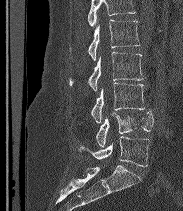
Spine CT — sagittal reformat

Each vertebra maps to its box as [x1, y1, x2, y2], the pixel coordinates of its top-left and bottom-right corners.
A vertebra cut off by the top edge of the scan is not labeled and has no box.
The labels name a sixth lumbar vertebra for this spine: L6, after L5.
{"vertebrae":{"L6":[79,136,149,166],"L5":[96,110,153,147],"L4":[91,83,145,123],"L3":[69,52,144,91],"L2":[88,20,140,61]}}